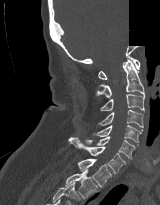

CT · sagittal view · Bone window (WL 400, WW 1800) · some of the image was removed or blocked out with constant pixels
<vertebrae><v name="T2" x1="65" y1="170" x2="98" y2="198"/><v name="T1" x1="77" y1="158" x2="112" y2="187"/><v name="C7" x1="68" y1="137" x2="126" y2="173"/><v name="C6" x1="85" y1="136" x2="135" y2="159"/><v name="C5" x1="92" y1="125" x2="142" y2="145"/><v name="C4" x1="98" y1="110" x2="143" y2="127"/><v name="C3" x1="100" y1="94" x2="144" y2="111"/><v name="C2" x1="96" y1="58" x2="144" y2="97"/><v name="C1" x1="98" y1="56" x2="140" y2="79"/></vertebrae>